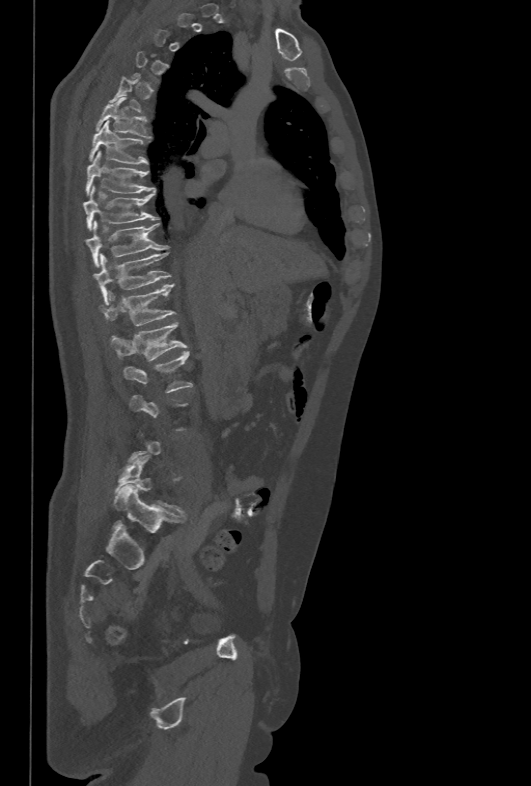

CT spine. sagittal reformat. Bone window (WL 400, WW 1800). 531x786 px
Box edges are left/top/right/bottom in pixels.
Not every vertebra on this slice has a box: a vertebra is boxed only from the first to the last slice where its cross-section is at least a third of its largest, and this slice is outside that range for at least one of them.
L2: left=123, top=350, right=192, bottom=392
L1: left=110, top=322, right=187, bottom=361
T12: left=99, top=284, right=174, bottom=325
T11: left=93, top=252, right=171, bottom=303
T10: left=85, top=220, right=168, bottom=266
T9: left=83, top=186, right=157, bottom=229
T8: left=85, top=150, right=155, bottom=194
T7: left=89, top=120, right=147, bottom=164
T6: left=95, top=97, right=150, bottom=137